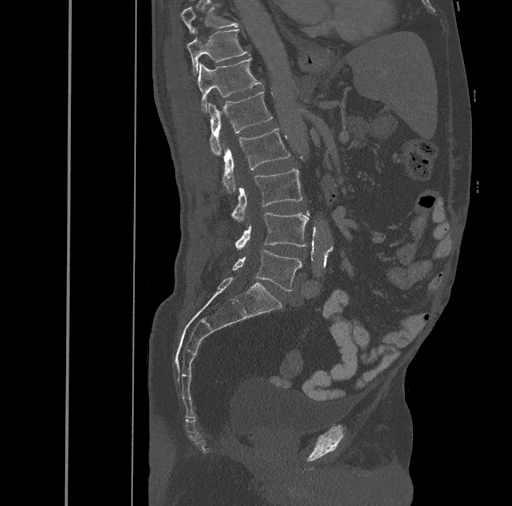

Spine CT · sagittal view · W/L 1800/400 HU · 512x506 px · image width 461 mm. Boxes: x1 y1 x2 y2 (pixel coords, space-separated).
L5: 232 251 302 291
L4: 235 211 309 249
L3: 231 168 302 221
L2: 222 128 290 192
L1: 207 92 272 154
T12: 197 58 261 111
T11: 187 28 250 75
T10: 181 3 237 34